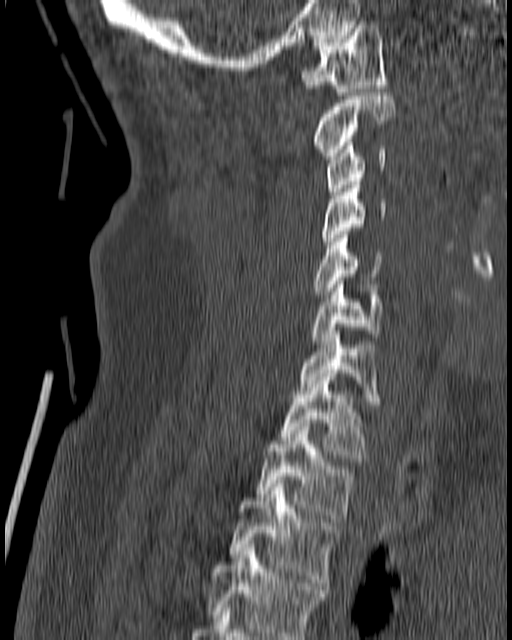
CT. sagittal view. 180 mm image width

Each box given as x1,y1,x2,y2.
Vertebra bounding boxes:
- C1: x1=302, y1=21, x2=387, y2=95
- C2: x1=311, y1=92, x2=395, y2=159
- C3: x1=325, y1=139, x2=387, y2=195
- C4: x1=322, y1=178, x2=387, y2=248
- C5: x1=311, y1=235, x2=381, y2=294
- C6: x1=311, y1=281, x2=384, y2=344
- C7: x1=297, y1=331, x2=381, y2=404
- T1: x1=278, y1=377, x2=367, y2=461
- T2: x1=255, y1=423, x2=355, y2=522
- T3: x1=228, y1=480, x2=338, y2=586
- T4: x1=206, y1=544, x2=326, y2=639